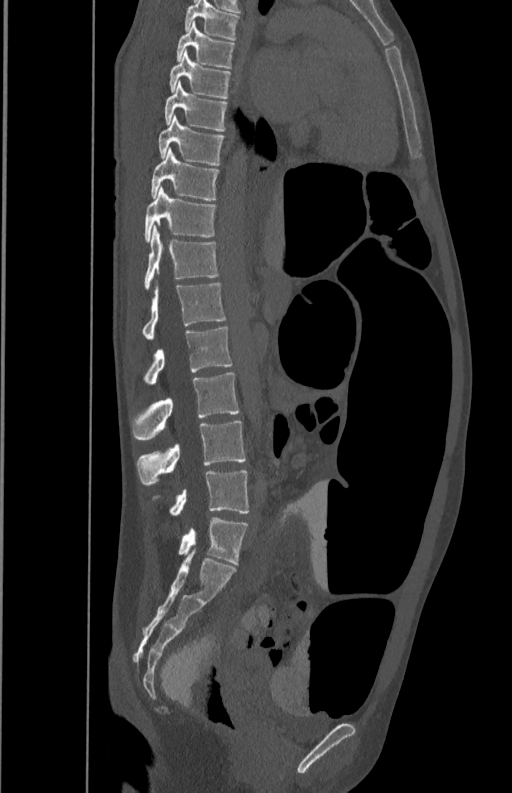 Computed tomography of the spine; sagittal view; 512x793 px. Box edges are left/top/right/bottom in pixels.
L5: left=155, top=469, right=249, bottom=515
L4: left=136, top=421, right=246, bottom=485
L3: left=131, top=373, right=239, bottom=439
L2: left=143, top=327, right=233, bottom=383
L1: left=142, top=282, right=226, bottom=340
T12: left=143, top=225, right=218, bottom=290
T11: left=145, top=187, right=217, bottom=241
T10: left=150, top=147, right=218, bottom=200
T9: left=158, top=116, right=224, bottom=165
T8: left=164, top=82, right=227, bottom=131
T7: left=169, top=53, right=231, bottom=98
T6: left=177, top=21, right=234, bottom=67
T5: left=184, top=1, right=240, bottom=40